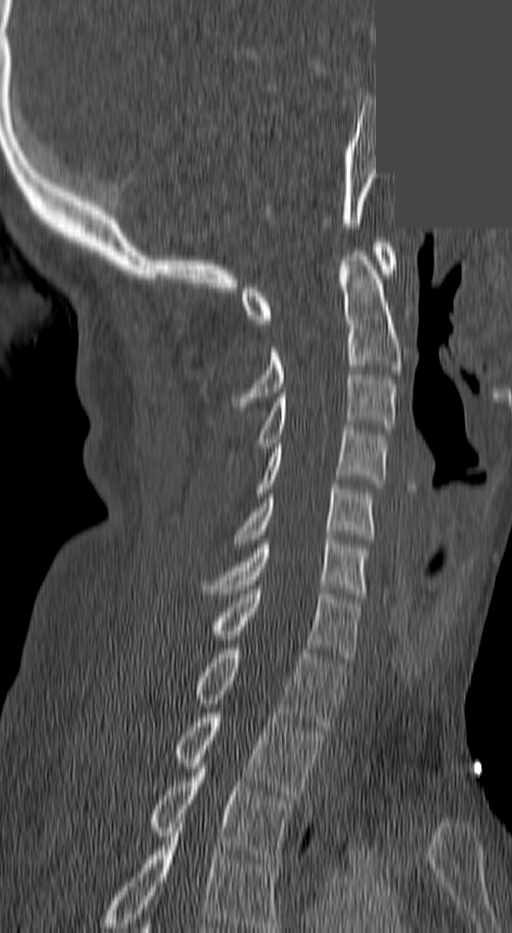 CT, spine · sagittal view · bone-window reconstruction · an area of the scan was removed and filled with constant pixels
Boxes below are [x1, y1, x2, y2] in pixels.
This scan's labels start at C1 at the top and end at T3 at the bottom.
{"vertebrae":{"C1":[239,242,395,324],"C2":[234,247,399,406],"C3":[256,375,395,452],"C4":[257,430,388,497],"C5":[235,485,373,543],"C6":[202,539,366,593],"C7":[210,590,359,657],"T1":[192,649,344,730],"T2":[173,713,322,799],"T3":[148,768,289,863]}}